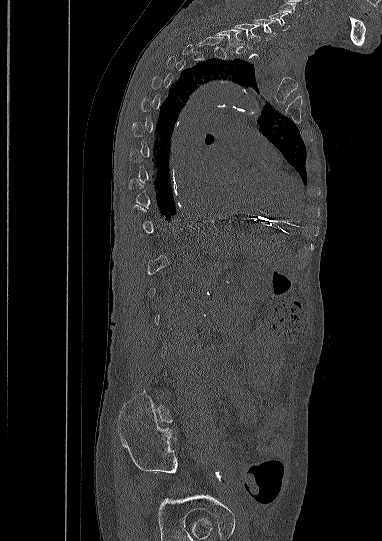 Spine computed tomography · sagittal view. Boxes are (x1, y1, x2, y2) in pixels. A vertebra is boxed only from the first to the last slice where its cross-section is at least a third of its largest; slices outside that range leave it without a box. Labels in this scan begin with C5 at the top and end with L5 at the bottom. 4 vertebrae labeled — C5 at (269, 12, 289, 30); C6 at (253, 19, 276, 40); C7 at (235, 23, 261, 49); T1 at (215, 28, 243, 50).